Spine CT — sagittal view — bone window
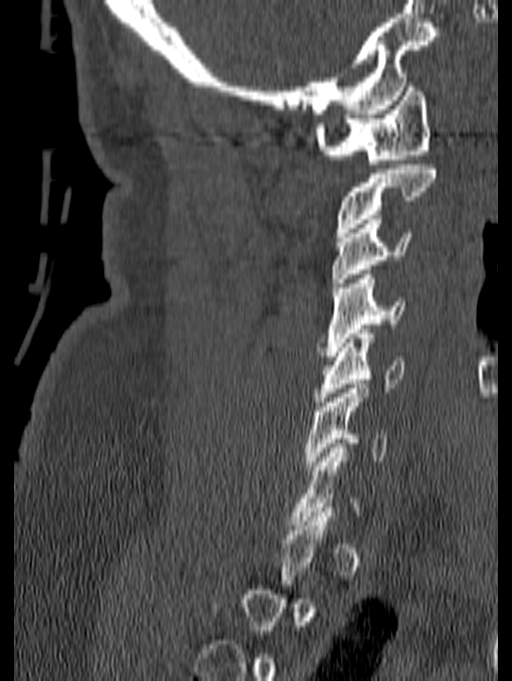 Boxes are (x1, y1, x2, y2) in pixels.
A vertebra gets a box only on the slices from the first to the last where its cross-section is at least a third of its largest; on a slice outside that range it gets none.
Vertebra bounding boxes:
- C1: (315, 82, 431, 164)
- C2: (335, 165, 436, 237)
- C3: (331, 219, 413, 287)
- C4: (318, 270, 405, 356)
- C5: (315, 329, 404, 406)
- C6: (305, 384, 388, 470)